Spine computed tomography · sagittal view · bone-window reconstruction
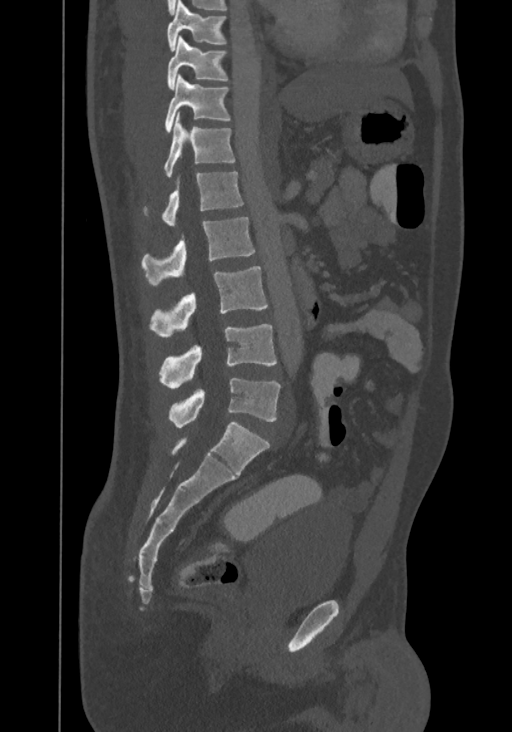
Box edges are left/top/right/bottom in pixels.
This scan's labels start at T8 at the top and end at L4 at the bottom.
T8: left=167, top=0, right=225, bottom=50
T9: left=167, top=36, right=228, bottom=89
T10: left=164, top=75, right=230, bottom=132
T11: left=164, top=113, right=235, bottom=176
T12: left=162, top=171, right=243, bottom=226
L1: left=142, top=217, right=254, bottom=285
L2: left=150, top=266, right=267, bottom=337
L3: left=160, top=324, right=276, bottom=388
L4: left=169, top=378, right=281, bottom=427